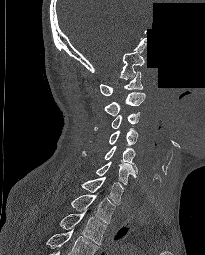
Spine CT; sagittal view; 205x255 px; part of the scan has been removed (filled with constant black)

Labels in this scan begin with C1 at the top and end with T2 at the bottom.
<vertebrae><v name="C1" x1="100" y1="71" x2="142" y2="95"/><v name="C2" x1="103" y1="92" x2="145" y2="116"/><v name="C3" x1="94" y1="112" x2="139" y2="130"/><v name="C4" x1="108" y1="128" x2="138" y2="145"/><v name="C5" x1="81" y1="146" x2="137" y2="173"/><v name="C6" x1="96" y1="161" x2="135" y2="185"/><v name="C7" x1="81" y1="177" x2="123" y2="204"/><v name="T1" x1="70" y1="194" x2="115" y2="223"/><v name="T2" x1="59" y1="211" x2="106" y2="244"/></vertebrae>